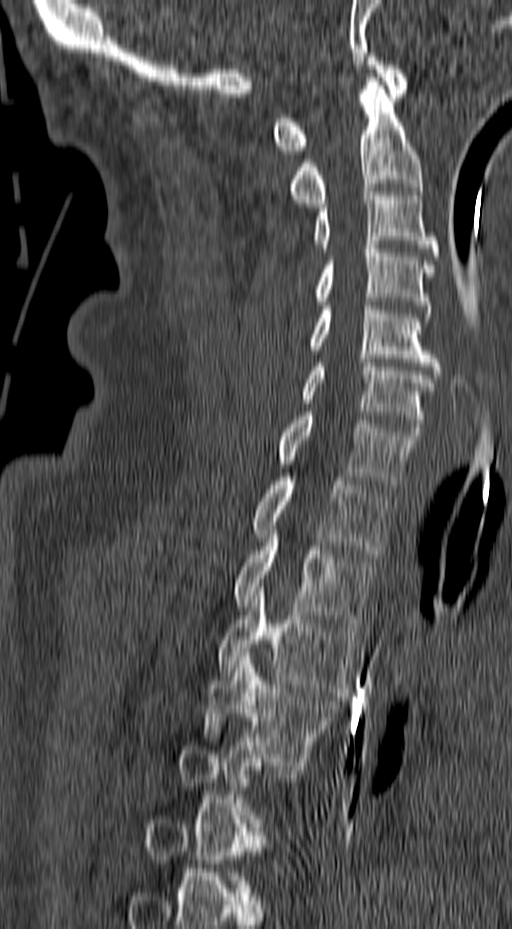 Computed tomography of the spine; sagittal reformat; the image is 157 mm wide

Boxes below are [x1, y1, x2, y2] in pixels.
A vertebra is boxed only from the first to the last slice where its cross-section is at least a third of its largest; slices outside that range leave it without a box.
{"vertebrae":{"C1":[273,53,408,154],"C2":[288,69,423,207],"C3":[314,188,440,260],"C4":[314,245,435,317],"C5":[311,302,443,374],"C6":[301,359,434,431],"C7":[278,412,421,488],"T1":[252,477,391,557],"T2":[233,526,375,627],"T3":[218,587,359,696],"T4":[201,652,339,765]}}